CT, spine; Sagittal slice 182/350; 350 mm across the image; 350x637 px
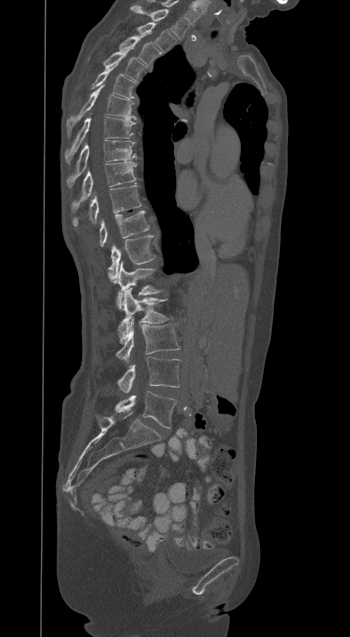 Bounding boxes as [x1, y1, x2, y2] in pixel coordinates.
T1: [131, 6, 188, 38]
T2: [136, 22, 176, 52]
T3: [119, 35, 160, 65]
T4: [104, 50, 145, 79]
T5: [92, 65, 134, 98]
T6: [66, 85, 136, 132]
T7: [65, 116, 136, 162]
T8: [67, 140, 135, 187]
T9: [71, 162, 136, 211]
T10: [72, 185, 141, 226]
T11: [100, 211, 149, 247]
T12: [108, 235, 154, 282]
L1: [116, 262, 161, 309]
L2: [118, 288, 168, 342]
L3: [116, 319, 179, 362]
L4: [117, 357, 180, 392]
L5: [115, 391, 176, 428]